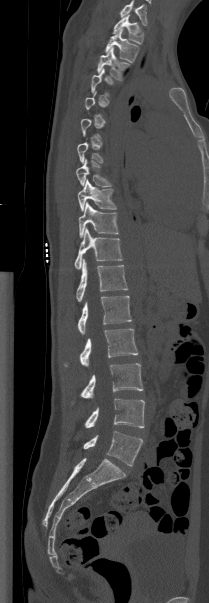
CT, spine · sagittal view · 209 mm across the image · 209x603 px
In the table, x1 and y1 are a box's top-left corner and x2 and y2 its bottom-right corner, in pixels.
A vertebra gets a box only on the slices from the first to the last where its cross-section is at least a third of its largest; on a slice outside that range it gets none.
In this scan, the topmost labeled vertebra is T1 and the lowest is L5.
| vertebra | x1 | y1 | x2 | y2 |
|---|---|---|---|---|
| T1 | 112 | 14 | 143 | 43 |
| T2 | 105 | 29 | 139 | 62 |
| T3 | 97 | 47 | 128 | 80 |
| T7 | 77 | 141 | 104 | 163 |
| T8 | 76 | 159 | 112 | 187 |
| T9 | 77 | 179 | 116 | 211 |
| T10 | 78 | 202 | 118 | 237 |
| T11 | 74 | 228 | 122 | 269 |
| T12 | 76 | 258 | 127 | 301 |
| L1 | 77 | 296 | 131 | 334 |
| L2 | 65 | 329 | 138 | 366 |
| L3 | 80 | 363 | 143 | 398 |
| L4 | 85 | 399 | 144 | 428 |
| L5 | 83 | 431 | 142 | 466 |